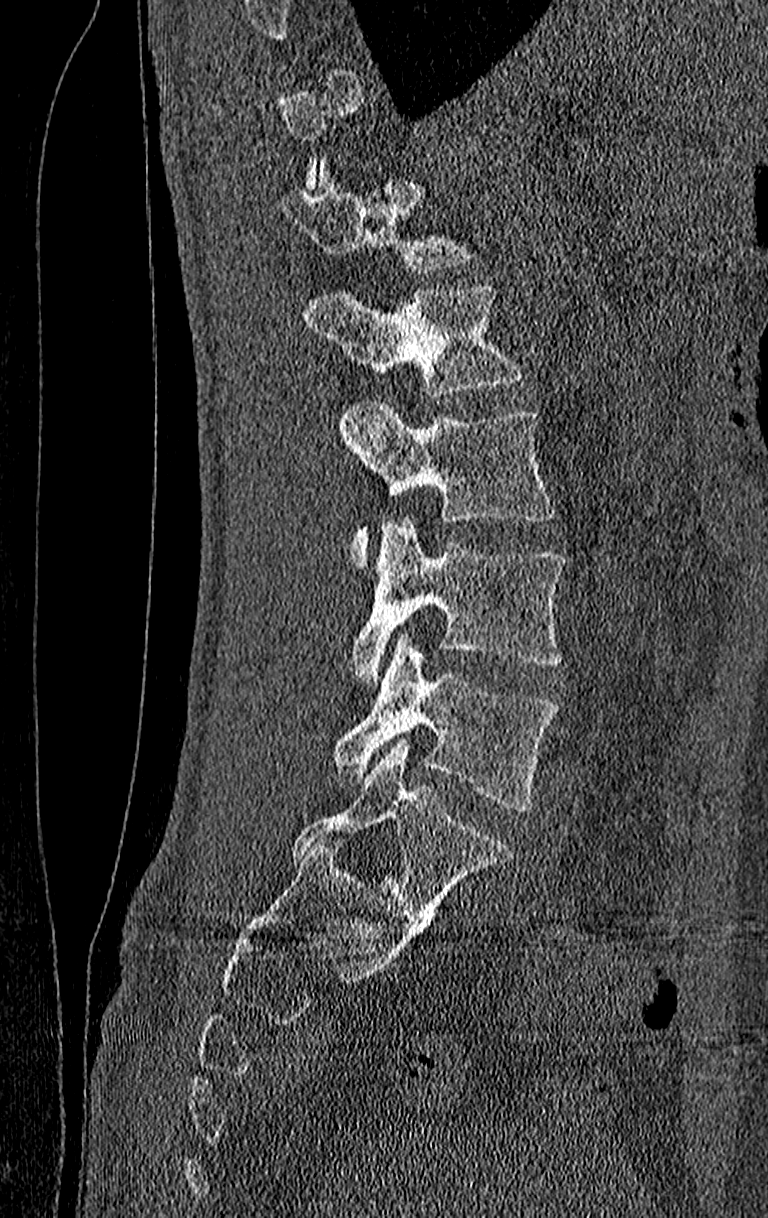
Computed tomography of the spine. sagittal view. Bone window (WL 400, WW 1800)
Not every vertebra on this slice has a box: a vertebra is boxed only from the first to the last slice where its cross-section is at least a third of its largest, and this slice is outside that range for at least one of them.
Labels in this scan begin with T11 at the top and end with L4 at the bottom.
<vertebrae><v name="T12" x1="280" y1="161" x2="473" y2="271"/><v name="L1" x1="306" y1="283" x2="524" y2="396"/><v name="L2" x1="339" y1="400" x2="557" y2="570"/><v name="L3" x1="350" y1="520" x2="565" y2="684"/><v name="L4" x1="331" y1="634" x2="561" y2="812"/></vertebrae>